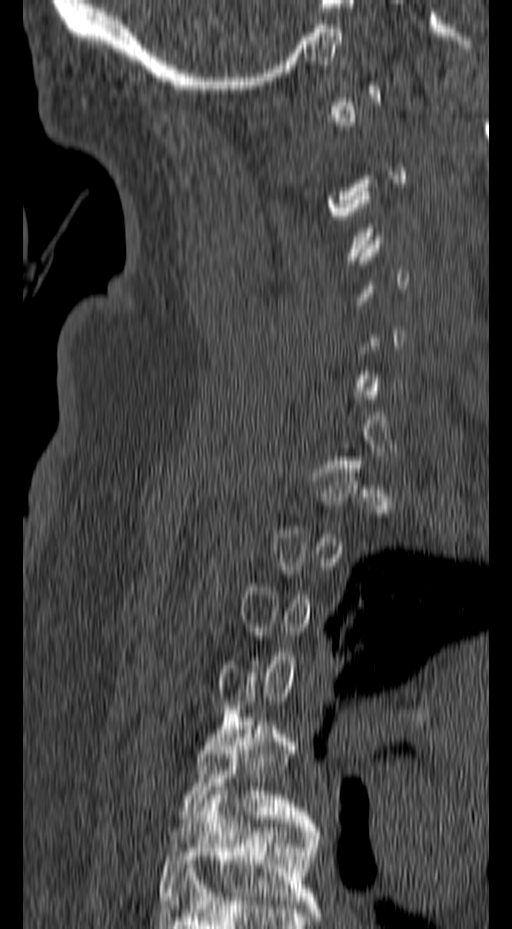 Spine CT — sagittal view
Boxes: x1 y1 x2 y2 (pixel coords, space-separated). A vertebra is boxed only from the first to the last slice where its cross-section is at least a third of its largest; slices outside that range leave it without a box. The labeled vertebrae in this slice are: T5 at 180 717 315 827, T6 at 158 787 320 904.